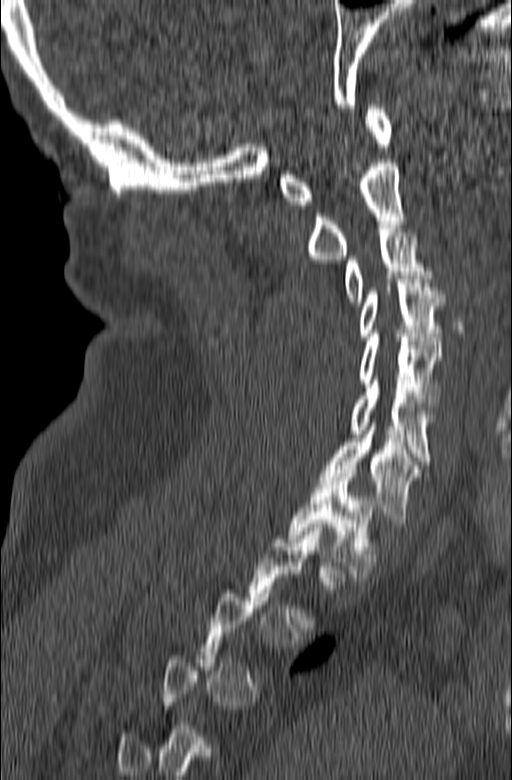 CT — sagittal view

Each box is [x1, y1, x2, y2] in pixels: top-left corner, then bottom-right corner.
A vertebra gets a box only on the slices from the first to the last where its cross-section is at least a third of its largest; on a slice outside that range it gets none.
{"vertebrae":{"C1":[279,105,391,205],"C2":[308,159,404,259],"C3":[345,225,432,305],"C4":[358,275,444,340],"C5":[358,330,442,402],"C6":[352,380,434,464],"C7":[319,419,431,523],"T1":[288,469,378,581]}}